Spine CT · sagittal reformat · Bone window (WL 400, WW 1800) · 375 mm wide
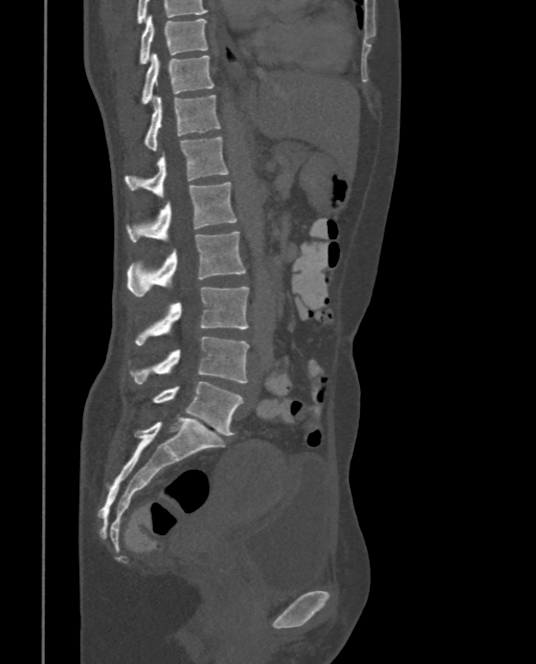 Box edges are left/top/right/bottom in pixels.
In this scan, the topmost labeled vertebra is T9 and the lowest is L5.
| vertebra | x1 | y1 | x2 | y2 |
|---|---|---|---|---|
| T9 | 138 | 16 | 207 | 65 |
| T10 | 140 | 53 | 215 | 105 |
| T11 | 142 | 94 | 220 | 150 |
| T12 | 125 | 136 | 229 | 195 |
| L1 | 126 | 181 | 238 | 242 |
| L2 | 127 | 231 | 246 | 296 |
| L3 | 134 | 286 | 249 | 345 |
| L4 | 127 | 336 | 249 | 383 |
| L5 | 152 | 381 | 243 | 435 |